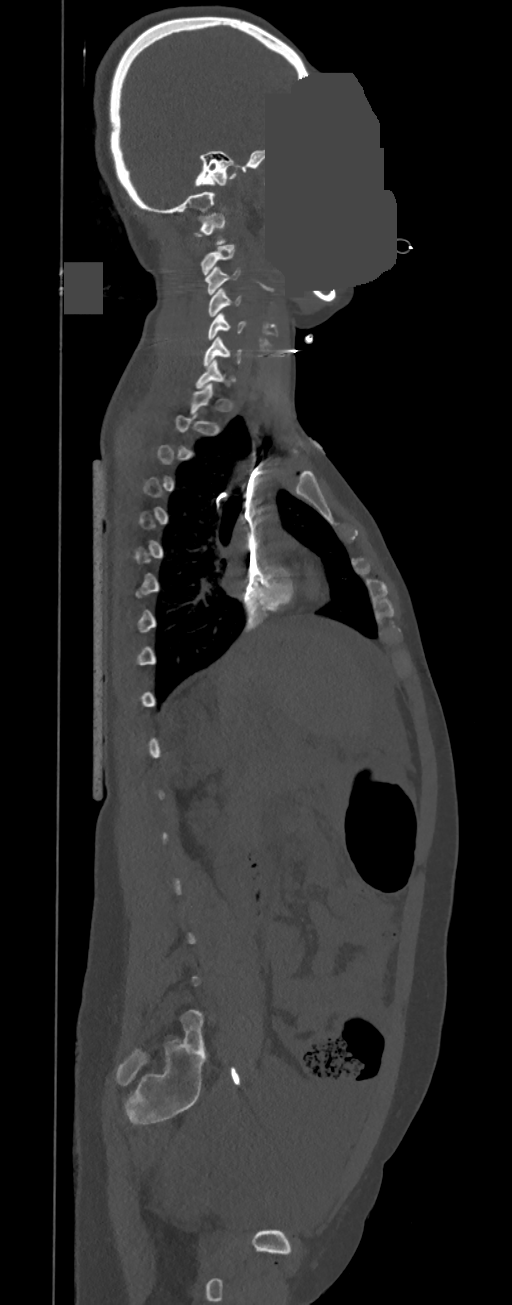

CT spine · sagittal view · bone-window reconstruction · a portion of the image is blanked out (constant pixel value)
Box values are [left, top, right, bottom] in pixels.
Not every vertebra on this slice has a box: a vertebra is boxed only from the first to the last slice where its cross-section is at least a third of its largest, and this slice is outside that range for at least one of them.
{"vertebrae":{"C1":[194,213,226,244],"C2":[200,245,236,275],"C3":[205,266,240,295],"C4":[207,288,240,316],"C5":[207,313,245,340],"C6":[203,336,241,366],"C7":[196,359,235,389]}}